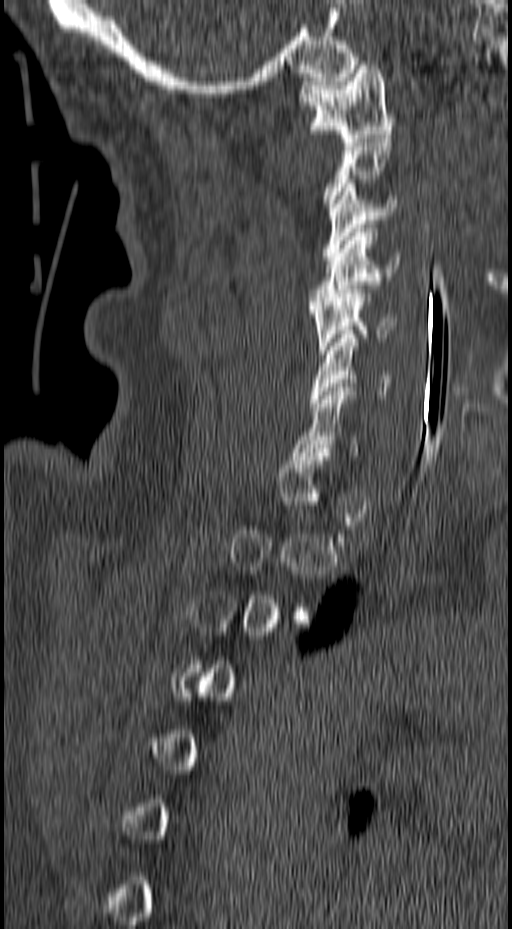 Spine computed tomography · sagittal view · bone-window reconstruction · 157 mm across the image

Boxes are (x1, y1, x2, y2) in pixels.
A vertebra gets a box only on the slices from the first to the last where its cross-section is at least a third of its largest; on a slice outside that range it gets none.
C1: (297, 61, 397, 142)
C3: (322, 183, 398, 260)
C4: (310, 228, 400, 305)
C5: (309, 285, 397, 354)
C6: (310, 334, 391, 403)
C7: (291, 387, 357, 456)